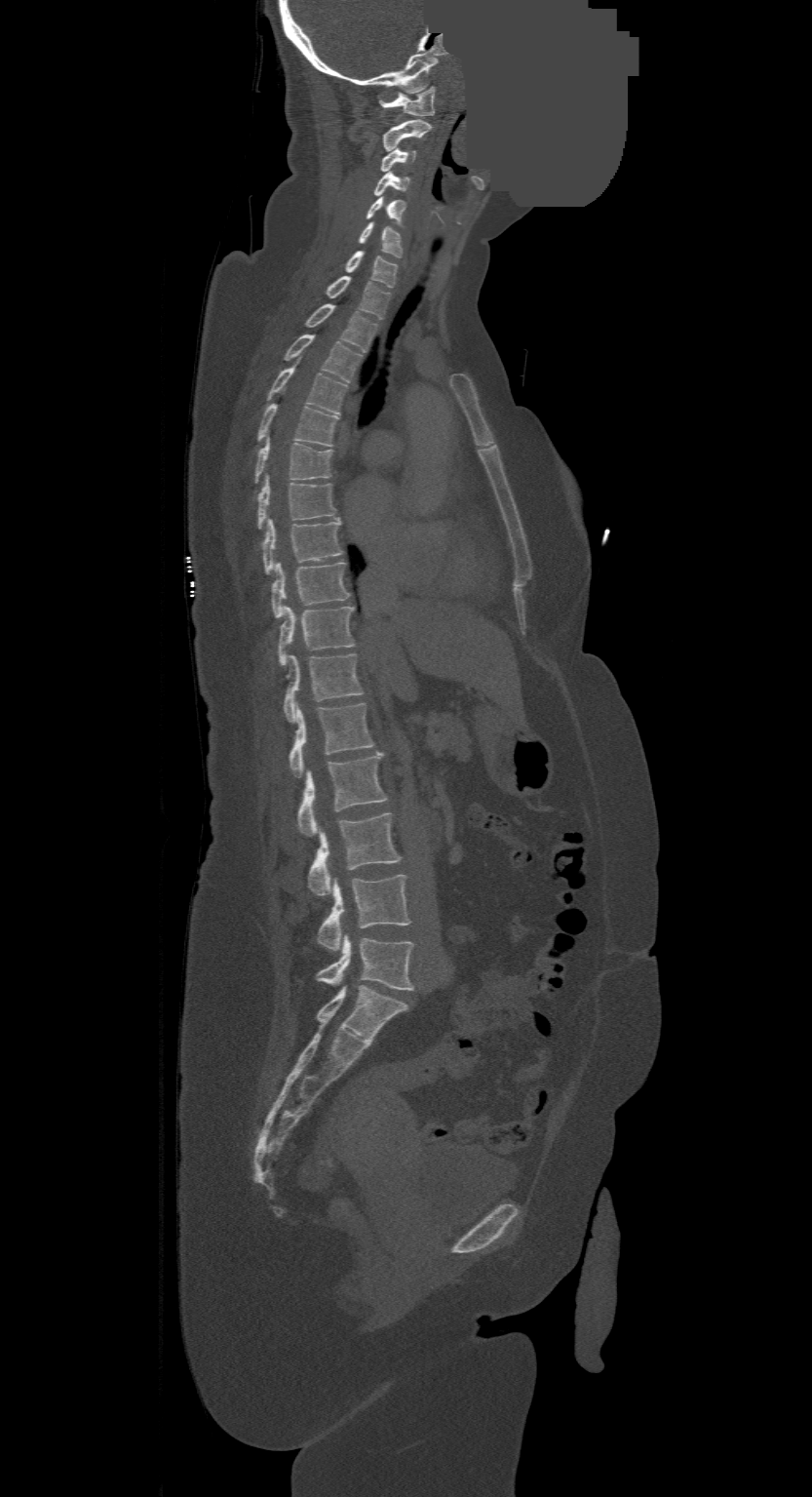
CT spine. sagittal view. bone-window reconstruction. the image spans 500 mm across. part of the image has been replaced by a constant value
The highest labeled vertebra in this scan is C1; the lowest is L4.
<vertebrae><v name="C1" x1="381" y1="87" x2="434" y2="116"/><v name="C2" x1="384" y1="121" x2="431" y2="150"/><v name="C3" x1="381" y1="146" x2="414" y2="172"/><v name="C4" x1="374" y1="171" x2="410" y2="196"/><v name="C5" x1="367" y1="195" x2="406" y2="222"/><v name="C6" x1="359" y1="221" x2="402" y2="256"/><v name="C7" x1="346" y1="251" x2="398" y2="287"/><v name="T1" x1="327" y1="277" x2="391" y2="320"/><v name="T2" x1="308" y1="304" x2="376" y2="352"/><v name="T3" x1="284" y1="334" x2="361" y2="381"/><v name="T4" x1="266" y1="360" x2="346" y2="414"/><v name="T5" x1="258" y1="404" x2="338" y2="447"/><v name="T6" x1="255" y1="434" x2="332" y2="482"/><v name="T7" x1="258" y1="473" x2="335" y2="528"/><v name="T8" x1="263" y1="517" x2="342" y2="573"/><v name="T9" x1="271" y1="561" x2="350" y2="617"/><v name="T10" x1="278" y1="607" x2="355" y2="666"/><v name="T11" x1="284" y1="653" x2="361" y2="721"/><v name="T12" x1="289" y1="702" x2="373" y2="776"/><v name="L1" x1="296" y1="751" x2="386" y2="835"/><v name="L2" x1="309" y1="813" x2="401" y2="895"/><v name="L3" x1="319" y1="875" x2="410" y2="950"/><v name="L4" x1="318" y1="933" x2="413" y2="989"/></vertebrae>